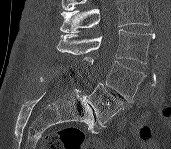
Computed tomography of the spine; sagittal reformat; bone-window reconstruction
Boxes: x1 y1 x2 y2 (pixel coords, space-separated).
Where the top of the scan cuts through a vertebra, that vertebra gets no label or box.
L5: 82 83 123 126
L4: 83 57 146 102
L3: 56 29 155 63